CT, spine · Sagittal slice 354/685 · 11 vertebrae labeled in this scan
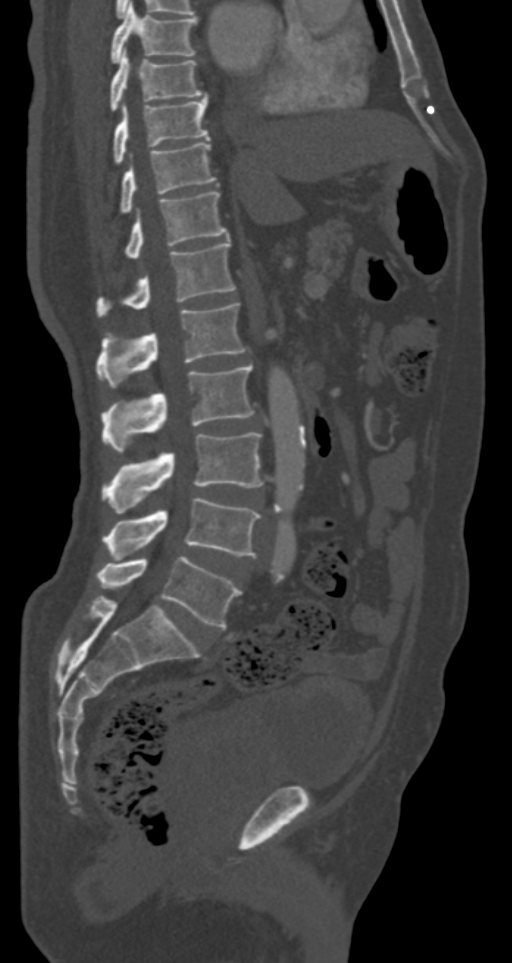
Each box given as x1,y1,x2,y2.
Vertebra bounding boxes:
- T7: x1=110, y1=4, x2=197, y2=63
- T8: x1=110, y1=47, x2=202, y2=111
- T9: x1=114, y1=97, x2=209, y2=163
- T10: x1=121, y1=142, x2=216, y2=213
- T11: x1=124, y1=192, x2=227, y2=257
- T12: x1=96, y1=242, x2=234, y2=316
- L1: x1=96, y1=303, x2=245, y2=386
- L2: x1=101, y1=363, x2=254, y2=454
- L3: x1=101, y1=433, x2=264, y2=512
- L4: x1=101, y1=497, x2=261, y2=558
- L5: x1=96, y1=556, x2=241, y2=628